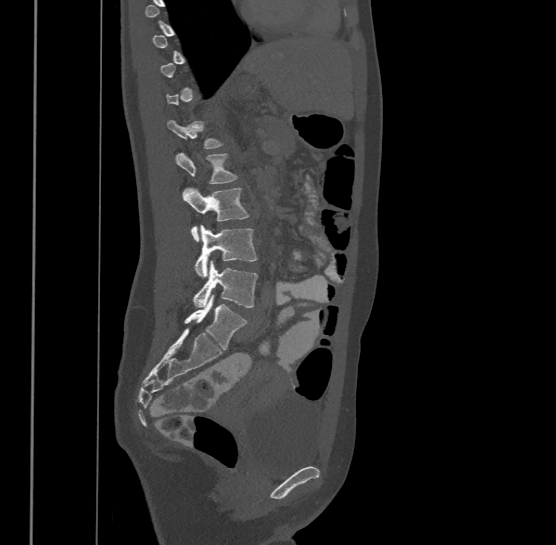 CT spine. sagittal view. bone window. 500 mm across the image. Each box given as x1,y1,x2,y2.
Each vertebra is boxed only on the slices from the first to the last where its cross-section reaches a third of its largest, so a slice outside that range leaves it unboxed.
This scan's labels start at T9 at the top and end at L4 at the bottom.
Vertebra bounding boxes:
- L4: x1=193, y1=260, x2=258, y2=307
- L3: x1=194, y1=225, x2=258, y2=276
- L2: x1=183, y1=186, x2=249, y2=240
- L1: x1=176, y1=152, x2=238, y2=183
- T12: x1=167, y1=120, x2=224, y2=148